Spine computed tomography — Sagittal slice 93/171
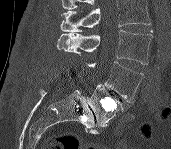
Each row gives a vertebra's box as x1, y1, x2, y2 in pixels: top-left corner, then bottom-right corner.
No box is given to a vertebra that the top edge of the scan cuts off.
| vertebra | x1 | y1 | x2 | y2 |
|---|---|---|---|---|
| L3 | 56 | 30 | 153 | 64 |
| L4 | 86 | 61 | 144 | 102 |
| L5 | 87 | 84 | 123 | 126 |